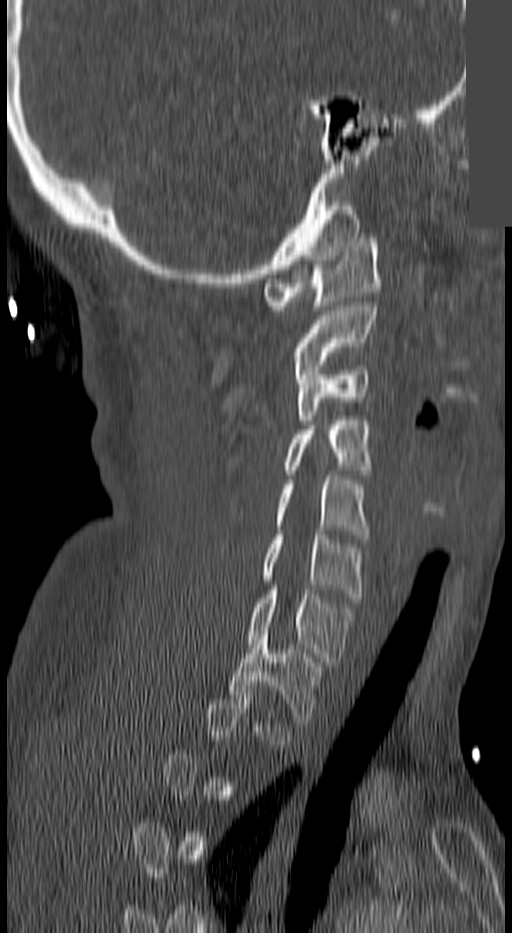
Spine computed tomography · sagittal view · W/L 1800/400 HU · part of the image has been replaced by a constant value
Boxes: x1:y1:x2:y2 in pixels.
A vertebra is boxed only from the first to the last slice where its cross-section is at least a third of its largest; slices outside that range leave it without a box.
C1: 265:238:381:310
C2: 294:302:377:374
C3: 296:366:370:424
C4: 283:416:373:474
C5: 276:475:370:538
C6: 261:535:362:598
C7: 246:590:355:666
T1: 228:635:322:726